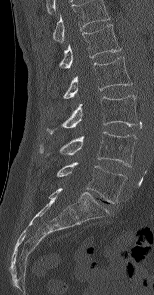 Computed tomography of the spine; sagittal reformat; bone-window reconstruction; 154x295 px; 154 mm wide
Boxes: x1 y1 x2 y2 (pixel coords, space-separated). The highest labeled vertebra in this scan is L1; the lowest is L5. The labeled vertebrae in this slice are: L1 at 59 24 121 68, L2 at 63 57 132 98, L3 at 46 95 137 134, L4 at 39 131 136 166, L5 at 57 162 127 203.